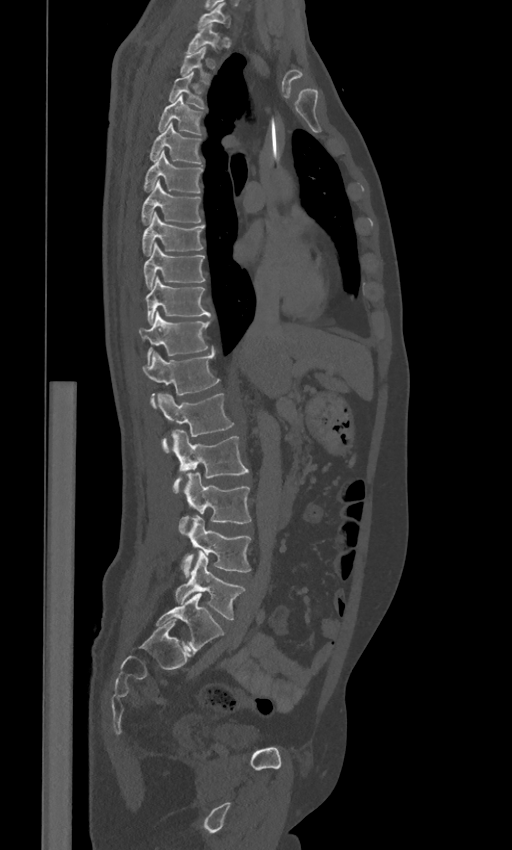
CT spine. sagittal view. W/L 1800/400 HU. the image spans 443 mm across. Coordinates as <box>x1,y1,x2,y2</box>.
Each vertebra is boxed only on the slices from the first to the last where its cross-section reaches a third of its largest, so a slice outside that range leaves it unboxed.
These labels give the spine a sixth lumbar vertebra, L6, below L5.
Vertebra bounding boxes:
- L6: <box>156,593,224,652</box>
- L5: <box>175,550,244,619</box>
- L4: <box>181,515,251,576</box>
- L3: <box>179,472,251,534</box>
- L2: <box>171,431,249,493</box>
- L1: <box>157,393,234,451</box>
- T12: <box>142,352,219,407</box>
- T11: <box>139,312,209,363</box>
- T10: <box>143,277,210,322</box>
- T9: <box>143,242,205,288</box>
- T8: <box>142,212,203,255</box>
- T7: <box>142,181,200,224</box>
- T6: <box>144,150,202,192</box>
- T5: <box>150,123,201,163</box>
- T4: <box>158,95,201,134</box>
- T3: <box>169,72,205,108</box>
- T1: <box>186,24,220,53</box>
- C7: <box>198,2,230,27</box>